CT, spine — image width 160 mm — sagittal view — W/L 1800/400 HU — 512x696 px
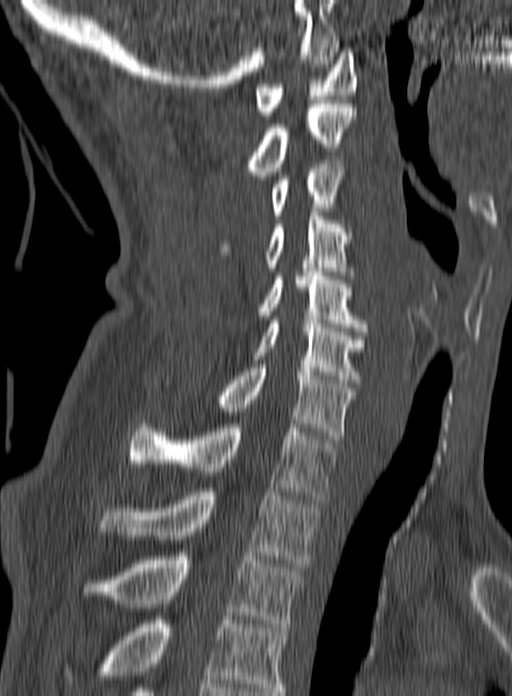 Each box given as x1,y1,x2,y2.
This scan's labels start at C1 at the top and end at T3 at the bottom.
T3: x1=82, y1=552, x2=301, y2=627
T2: x1=100, y1=488, x2=317, y2=567
T1: x1=129, y1=420, x2=337, y2=499
C7: x1=216, y1=364, x2=355, y2=443
C6: x1=251, y1=320, x2=367, y2=383
C5: x1=260, y1=268, x2=365, y2=335
C4: x1=219, y1=212, x2=353, y2=275
C3: x1=270, y1=160, x2=343, y2=219
C2: x1=247, y1=104, x2=356, y2=175
C1: x1=255, y1=48, x2=356, y2=119